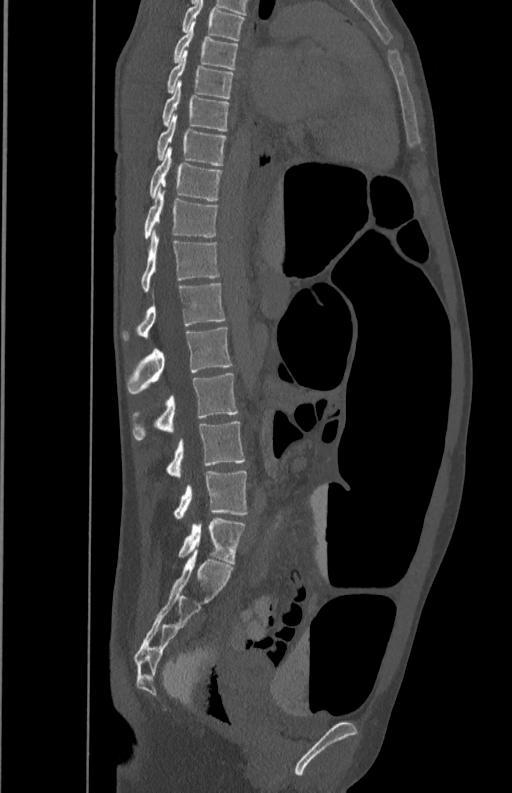
CT; sagittal view; bone-window reconstruction; 512x793 px
Each vertebra maps to its box as [x1, y1, x2, y2], the pixel coordinates of its top-left and bottom-right corners.
{"vertebrae":{"T5":[183,1,243,40],"T6":[174,22,237,69],"T7":[167,53,233,98],"T8":[162,82,228,131],"T9":[156,113,226,165],"T10":[149,147,221,200],"T11":[143,190,218,240],"T12":[142,229,220,291],"L1":[123,282,226,340],"L2":[127,327,233,394],"L3":[131,373,239,439],"L4":[165,421,245,477],"L5":[172,471,247,518]}}